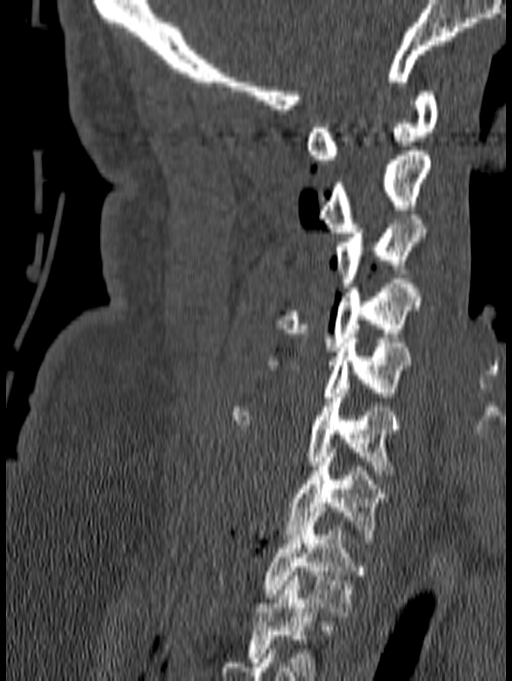

Spine computed tomography; sagittal reformat; 140 mm across the image

Boxes: x1:y1:x2:y2 in pixels.
This scan's labels start at C1 at the top and end at T1 at the bottom.
C1: 305:91:438:164
C2: 319:151:430:232
C3: 337:215:426:287
C4: 273:279:420:351
C5: 261:338:410:401
C6: 231:389:401:474
C7: 286:448:388:543
T1: 262:507:366:612